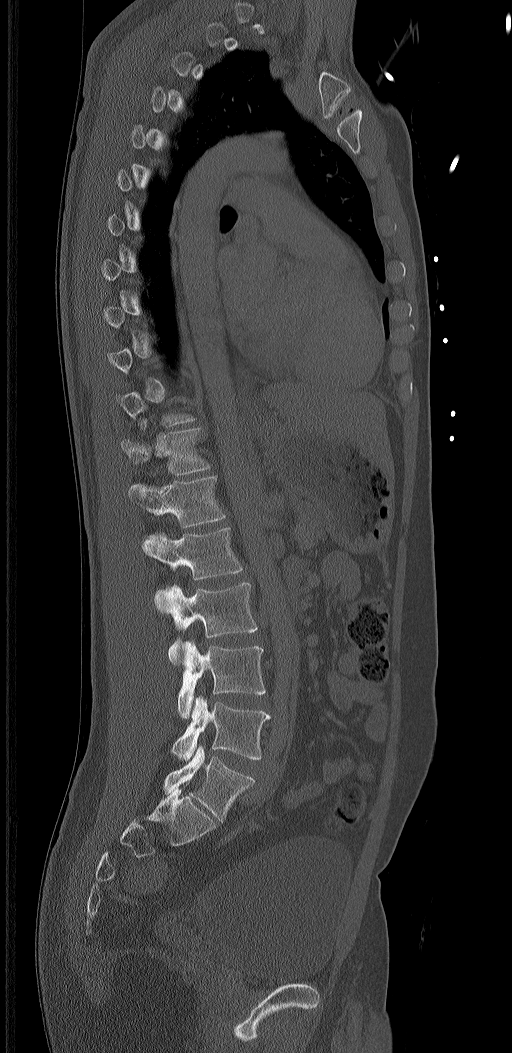

CT spine — sagittal reformat — 320 mm across the image
Bounding boxes as [x1, y1, x2, y2] in pixel coordinates.
Each vertebra is boxed only on the slices from the first to the last where its cross-section reaches a third of its largest, so a slice outside that range leaves it unboxed.
These labels give the spine a sixth lumbar vertebra, L6, below L5.
Vertebra bounding boxes:
- T12: [120, 419, 211, 475]
- L1: [128, 476, 225, 527]
- L2: [142, 527, 243, 611]
- L3: [164, 583, 257, 665]
- L4: [178, 640, 265, 718]
- L5: [172, 696, 270, 759]
- L6: [163, 746, 254, 820]